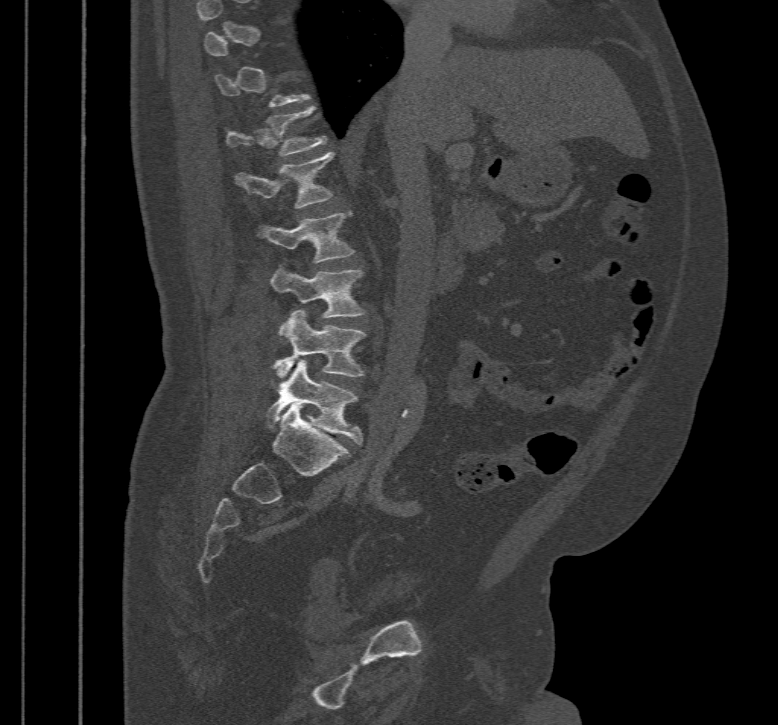

Spine CT · sagittal view · bone-window reconstruction
Bounding boxes as [x1, y1, x2, y2] in pixel coordinates. A vertebra gets a box only on the slices from the first to the last where its cross-section is at least a third of its largest; on a slice outside that range it gets none. 6 vertebrae labeled — T12 at [227, 105, 326, 156]; L1 at [237, 152, 333, 208]; L2 at [263, 212, 353, 263]; L3 at [271, 267, 364, 328]; L4 at [272, 310, 364, 378]; L5 at [266, 360, 362, 444].